CT, spine; the image spans 392 mm across; sagittal view; bone window; 9 vertebrae labeled in this scan
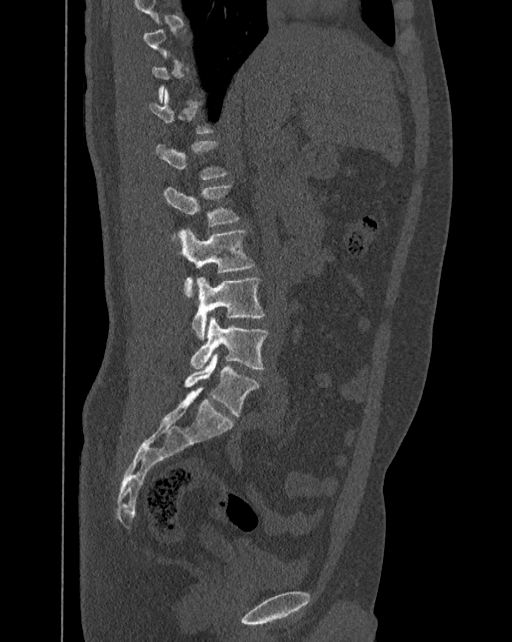

Bounding boxes as [x1, y1, x2, y2] in pixel coordinates. A vertebra is boxed only from the first to the last slice where its cross-section is at least a third of its largest; slices outside that range leave it without a box. In these labels the spine has an L6, a sixth lumbar vertebra below L5. Vertebrae labeled: T12 at [149, 88, 214, 133], L1 at [155, 140, 229, 180], L2 at [163, 185, 239, 226], L3 at [180, 228, 255, 298], L4 at [192, 276, 265, 340], L5 at [191, 316, 268, 369], L6 at [184, 353, 259, 416].